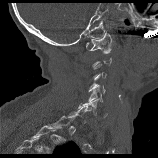
CT — sagittal reformat — bone-window reconstruction — 158 mm across the image
Coordinates as <box>x1,y1,x2,y2</box>.
Each vertebra is boxed only on the slices from the first to the last where its cross-section reaches a third of its largest, so a slice outside that range leaves it unboxed.
C1: <box>86,31,111,50</box>
C5: <box>88,84,102,102</box>
C6: <box>77,99,98,116</box>